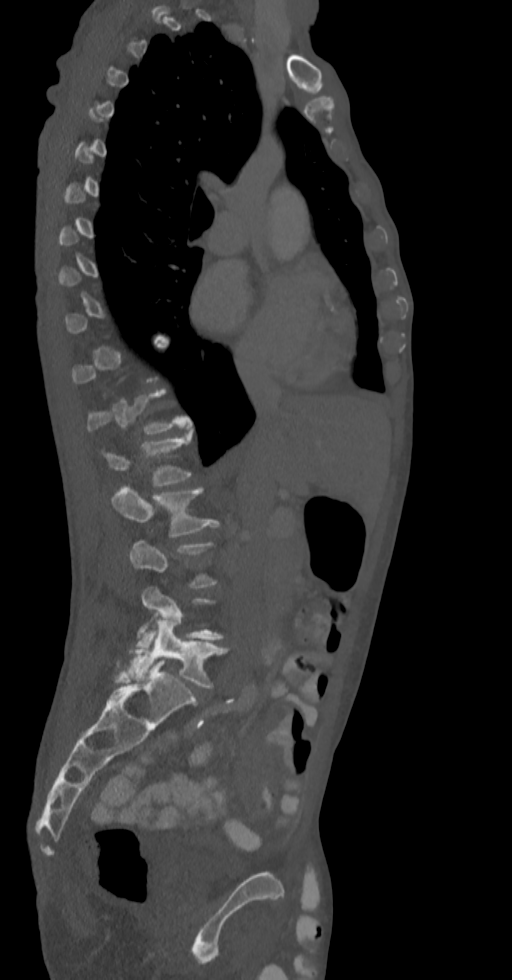

Computed tomography of the spine — the image is 336 mm wide — sagittal view — bone window
Box edges are left/top/right/bottom in pixels.
Each vertebra is boxed only on the slices from the first to the last where its cross-section reaches a third of its largest, so a slice outside that range leaves it unboxed.
Vertebra bounding boxes:
- L1: left=103, top=430, right=191, bottom=485
- L2: left=111, top=486, right=218, bottom=537
- L4: left=137, top=587, right=223, bottom=647
- L5: left=117, top=619, right=227, bottom=688